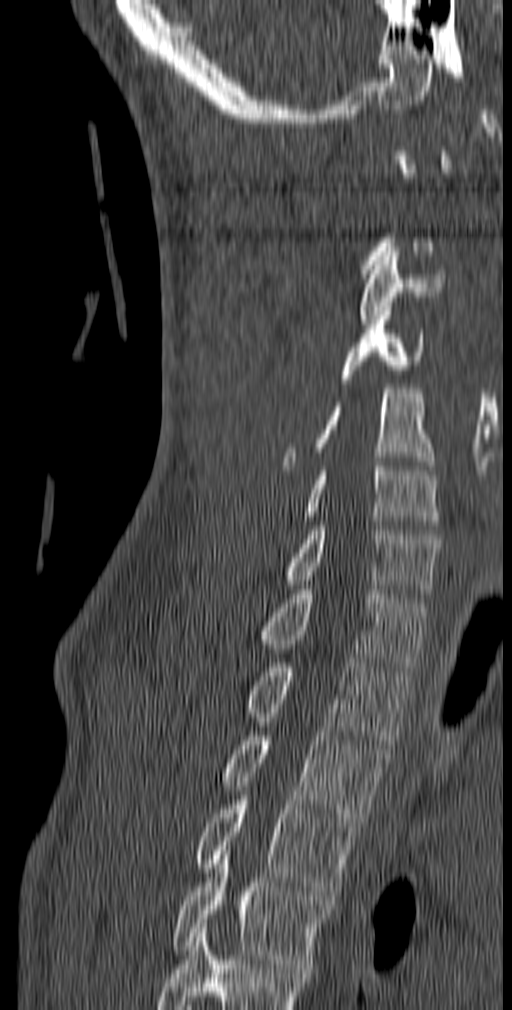

Computed tomography of the spine · sagittal reformat · Bone window (WL 400, WW 1800)
Boxes: x1:y1:x2:y2 in pixels.
A vertebra gets a box only on the slices from the first to the last where its cross-section is at least a third of its largest; on a slice outside that range it gets none.
In this scan, the topmost labeled vertebra is C1 and the lowest is T5.
Vertebra bounding boxes:
- T5: 172:850:329:968
- T4: 195:800:361:900
- T3: 221:727:389:826
- T2: 246:658:412:744
- T1: 260:585:427:671
- C7: 283:521:438:598
- C6: 305:462:439:529
- C5: 281:384:436:470
- C4: 341:306:423:383
- C3: 359:247:445:324